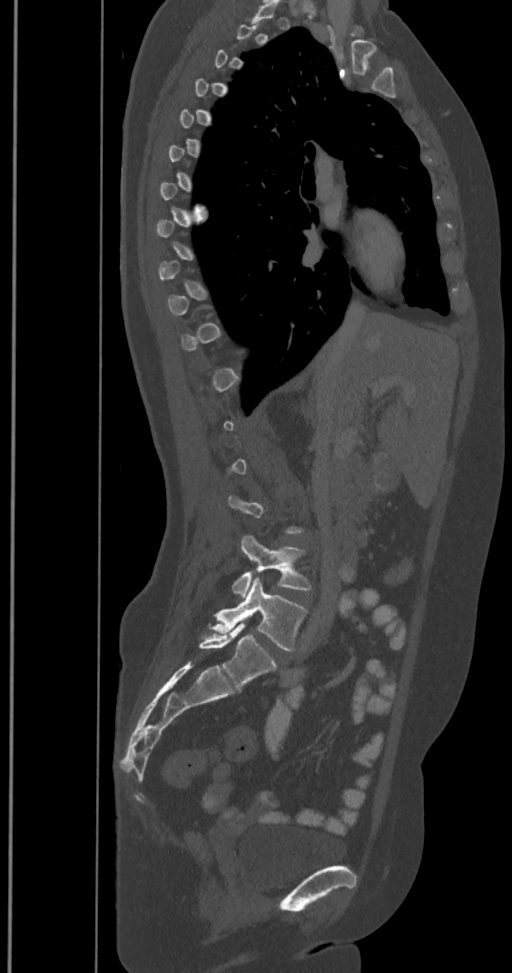 CT spine; 350 mm wide; sagittal view; 512x973 px
Boxes: x1 y1 x2 y2 (pixel coords, space-separated). Not every vertebra on this slice has a box: a vertebra is boxed only from the first to the last slice where its cross-section is at least a third of its largest, and this slice is outside that range for at least one of them. The labels name a sixth lumbar vertebra for this spine: L6, after L5. The labeled vertebrae in this slice are: L4 at 232 535 312 597, L5 at 202 578 307 651, L6 at 199 624 277 689.